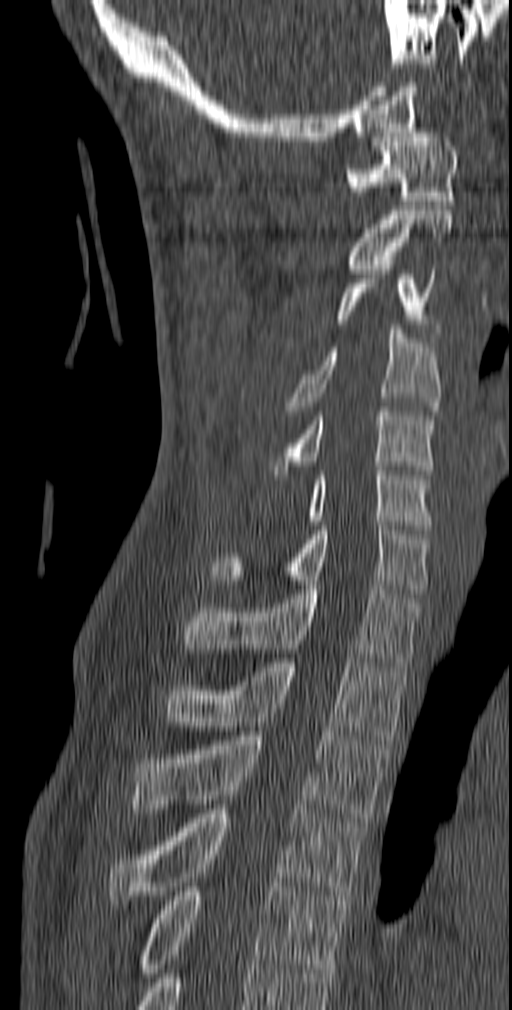 Spine CT · 140 mm image width · sagittal reformat
Each box given as x1,y1,x2,y2.
| vertebra | x1 | y1 | x2 | y2 |
|---|---|---|---|---|
| T5 | 138 | 887 | 348 | 977 |
| T4 | 110 | 809 | 366 | 904 |
| T3 | 130 | 731 | 389 | 822 |
| T2 | 162 | 658 | 408 | 740 |
| T1 | 184 | 585 | 422 | 666 |
| C7 | 210 | 521 | 430 | 593 |
| C6 | 304 | 466 | 432 | 529 |
| C5 | 269 | 407 | 436 | 474 |
| C4 | 285 | 325 | 441 | 415 |
| C3 | 338 | 265 | 442 | 342 |
| C2 | 349 | 210 | 452 | 273 |
| C1 | 345 | 128 | 459 | 205 |